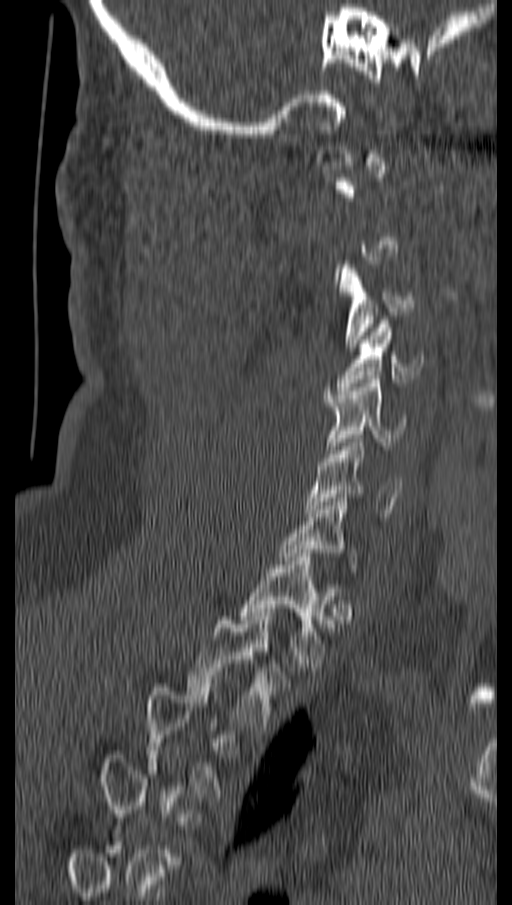

CT spine. sagittal reformat
Box edges are left/top/right/bottom in pixels.
Each vertebra is boxed only on the slices from the first to the last where its cross-section reaches a third of its largest, so a slice outside that range leaves it unboxed.
Vertebra bounding boxes:
- C3: left=340, top=261, right=412, bottom=351
- C4: left=336, top=320, right=423, bottom=390
- C5: left=326, top=379, right=406, bottom=453
- C6: left=304, top=439, right=402, bottom=513
- T1: left=241, top=553, right=333, bottom=667
- T2: left=187, top=612, right=275, bottom=726